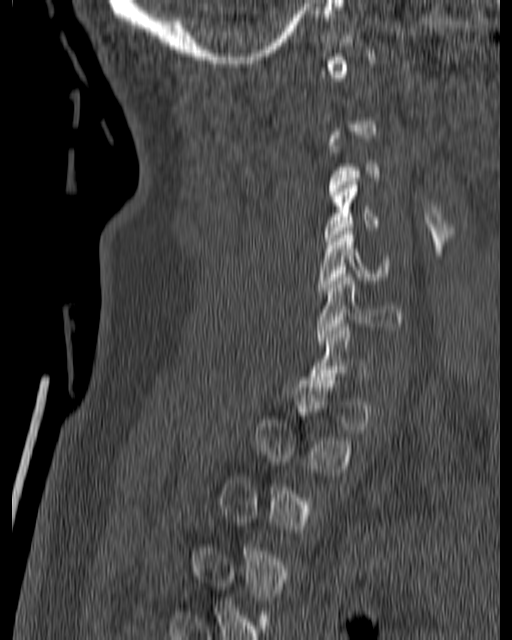 Spine computed tomography · sagittal view · W/L 1800/400 HU. Each box given as x1,y1,x2,y2.
Each vertebra is boxed only on the slices from the first to the last where its cross-section reaches a third of its largest, so a slice outside that range leaves it unboxed.
| vertebra | x1 | y1 | x2 | y2 |
|---|---|---|---|---|
| C6 | 316 | 274 | 402 | 344 |
| C5 | 317 | 231 | 390 | 294 |
| C4 | 324 | 178 | 378 | 244 |